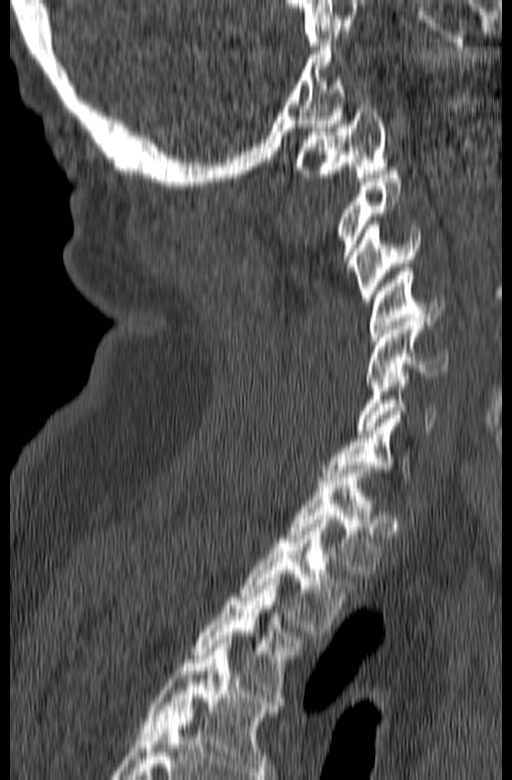 Computed tomography of the spine · sagittal view · 165 mm wide · bone window · 512x780 px
Each vertebra maps to its box as [x1, y1, x2, y2], the pixel coordinates of its top-left and bottom-right corners.
In this scan, the topmost labeled vertebra is C1 and the lowest is T3.
{"vertebrae":{"C1":[295,105,387,181],"C2":[336,167,401,271],"C3":[352,221,420,302],"C4":[370,268,444,340],"C5":[364,318,448,387],"C6":[356,368,437,433],"C7":[321,411,410,480],"T1":[284,465,382,573],"T2":[240,520,354,631],"T3":[191,578,302,705]}}